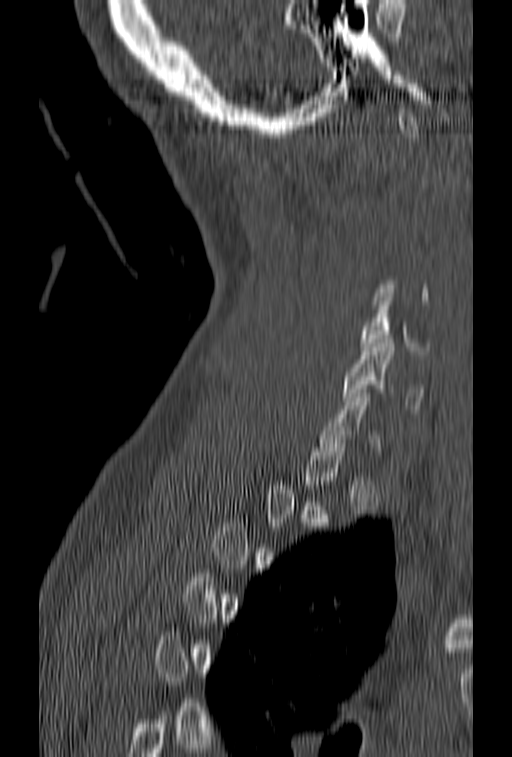 Spine CT; sagittal view; bone-window reconstruction

Boxes are (x1, y1, x2, y2) in pixels.
Not every vertebra on this slice has a box: a vertebra is boxed only from the first to the last slice where its cross-section is at least a third of its largest, and this slice is outside that range for at least one of them.
C6: (343, 339, 423, 413)
C5: (359, 293, 439, 355)